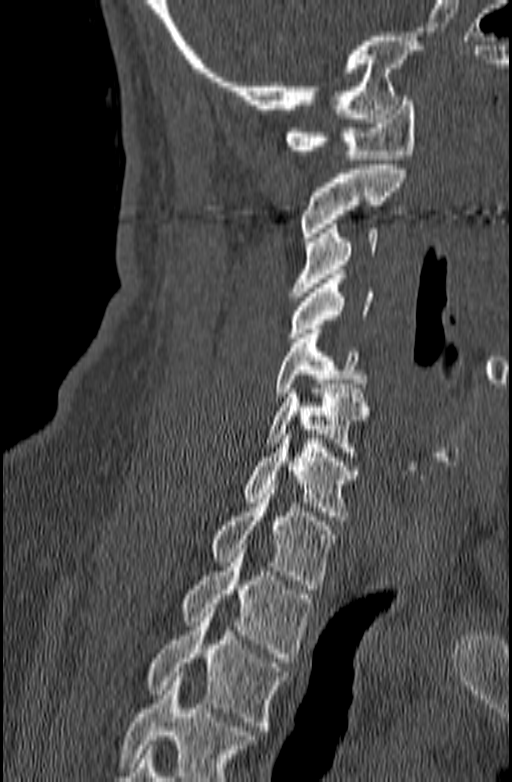

Computed tomography of the spine. sagittal view. 512x782 px. the image spans 140 mm across
Box edges are left/top/right/bottom in pixels.
Where the bottom of the scan cuts through a vertebra, that vertebra gets no label or box.
| vertebra | x1 | y1 | x2 | y2 |
|---|---|---|---|---|
| C1 | 285 | 96 | 415 | 159 |
| C2 | 298 | 165 | 406 | 241 |
| C3 | 290 | 224 | 377 | 296 |
| C4 | 287 | 274 | 373 | 342 |
| C5 | 276 | 329 | 366 | 397 |
| C6 | 264 | 384 | 369 | 461 |
| C7 | 243 | 430 | 359 | 520 |
| T1 | 210 | 489 | 337 | 589 |
| T2 | 181 | 544 | 312 | 662 |
| T3 | 147 | 608 | 287 | 730 |